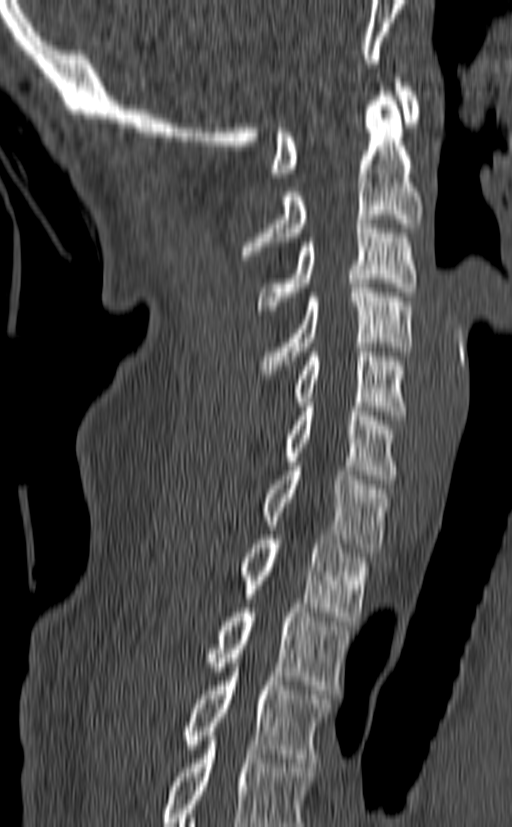
CT spine; sagittal reformat; Bone window (WL 400, WW 1800)
Box values are [left, top, right, bottom] in pixels.
Labels in this scan begin with C1 at the top and end with T3 at the bottom.
{"vertebrae":{"T3":[181,658,333,762],"T2":[202,608,351,694],"T1":[235,535,370,621],"C7":[261,462,392,552],"C6":[283,402,399,484],"C5":[290,347,406,415],"C4":[255,283,414,378],"C3":[257,219,418,314],"C2":[242,87,422,260],"C1":[271,78,421,177]}}